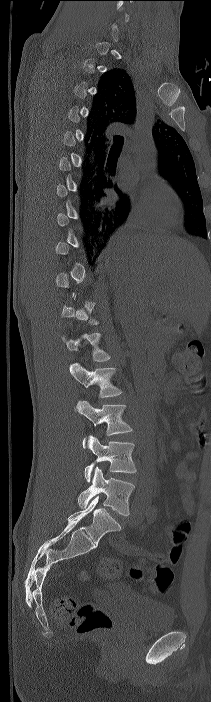 CT, spine — sagittal view — bone-window reconstruction

Each box given as x1,y1,x2,y2.
Not every vertebra on this slice has a box: a vertebra is boxed only from the first to the last slice where its cross-section is at least a third of its largest, and this slice is outside that range for at least one of them.
The highest labeled vertebra in this scan is C7; the lowest is L4.
Vertebra bounding boxes:
- T12: x1=62, y1=333, x2=110, y2=361
- L1: x1=69, y1=362, x2=122, y2=397
- L2: x1=76, y1=400, x2=132, y2=448
- L3: x1=84, y1=435, x2=136, y2=482
- L4: x1=78, y1=466, x2=134, y2=515